CT — Sagittal slice 238/512 — bone window — 17 vertebrae labeled in this scan
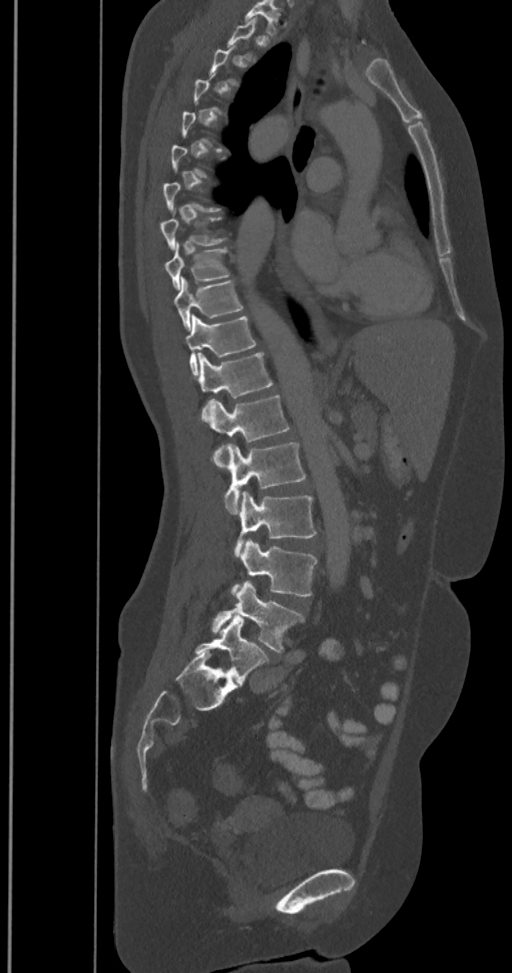

Box edges are left/top/right/bottom in pixels.
Each vertebra is boxed only on the slices from the first to the last where its cross-section reaches a third of its largest, so a slice outside that range leaves it unboxed.
The labels name a sixth lumbar vertebra for this spine: L6, after L5.
Vertebra bounding boxes:
- L6: left=196, top=615, right=268, bottom=682
- L5: left=212, top=581, right=305, bottom=652
- L4: left=231, top=538, right=316, bottom=597
- L3: left=234, top=492, right=316, bottom=557
- L2: left=224, top=442, right=306, bottom=514
- L1: left=209, top=395, right=290, bottom=468
- T12: left=198, top=353, right=272, bottom=422
- T11: left=186, top=315, right=256, bottom=374
- T10: left=174, top=276, right=243, bottom=331
- T9: left=165, top=242, right=230, bottom=290
- T8: left=161, top=212, right=227, bottom=249